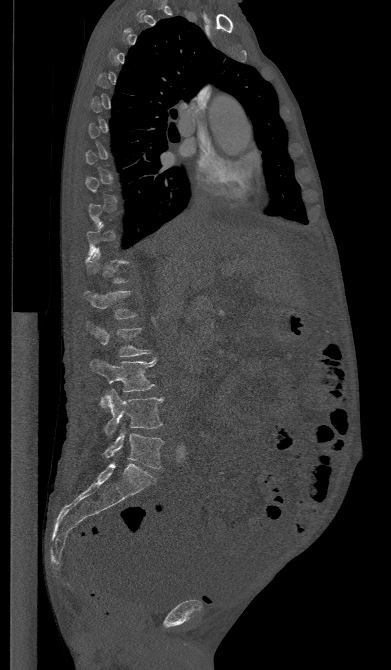

CT, spine — sagittal view — 391 mm wide
Each vertebra is boxed only on the slices from the first to the last where its cross-section reaches a third of its largest, so a slice outside that range leaves it unboxed.
<vertebrae><v name="L5" x1="104" y1="427" x2="163" y2="468"/><v name="L4" x1="101" y1="389" x2="164" y2="435"/><v name="L3" x1="90" y1="358" x2="155" y2="406"/><v name="L1" x1="84" y1="291" x2="136" y2="319"/></vertebrae>